Spine computed tomography · sagittal reformat
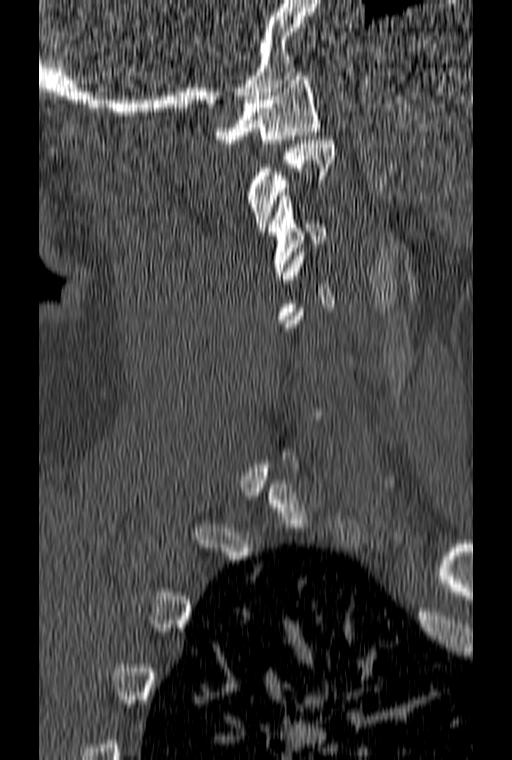
In the table, x1 and y1 are a box's top-left corner and x2 and y2 its bottom-right corner, in pixels.
A vertebra gets a box only on the slices from the first to the last where its cross-section is at least a third of its largest; on a slice outside that range it gets none.
| vertebra | x1 | y1 | x2 | y2 |
|---|---|---|---|---|
| C1 | 215 | 72 | 319 | 143 |
| C2 | 248 | 140 | 334 | 231 |
| C3 | 267 | 192 | 325 | 275 |